Computed tomography of the spine · sagittal view · 455 mm across the image
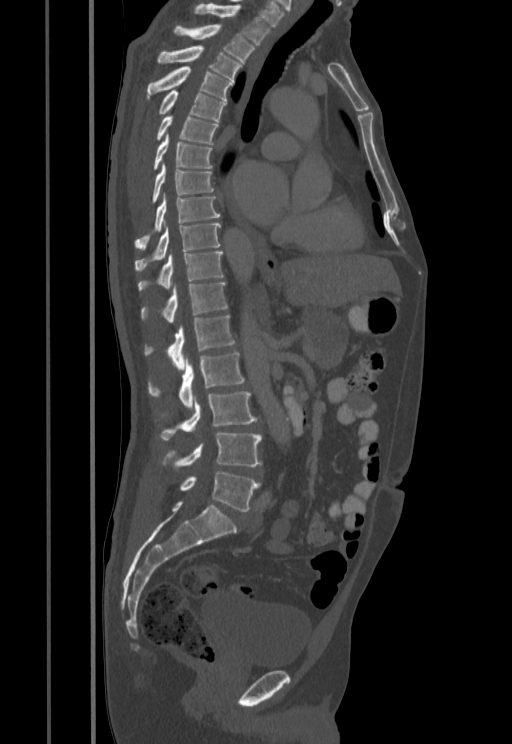
Each vertebra maps to its box as [x1, y1, x2, y2], the pixel coordinates of its top-left and bottom-right corners.
{"vertebrae":{"T1":[193,4,270,44],"T2":[174,24,254,62],"T3":[157,46,242,81],"T4":[147,66,233,100],"T5":[159,90,226,121],"T6":[156,117,218,144],"T7":[153,134,212,169],"T8":[152,163,213,203],"T9":[135,194,219,249],"T10":[135,224,221,270],"T11":[138,252,223,290],"T12":[141,281,227,323],"L1":[144,315,234,369],"L2":[148,353,244,408],"L3":[160,392,257,439],"L4":[163,432,261,469],"L5":[180,471,260,511]}}